CT; 487 mm wide; Sagittal slice 21/48
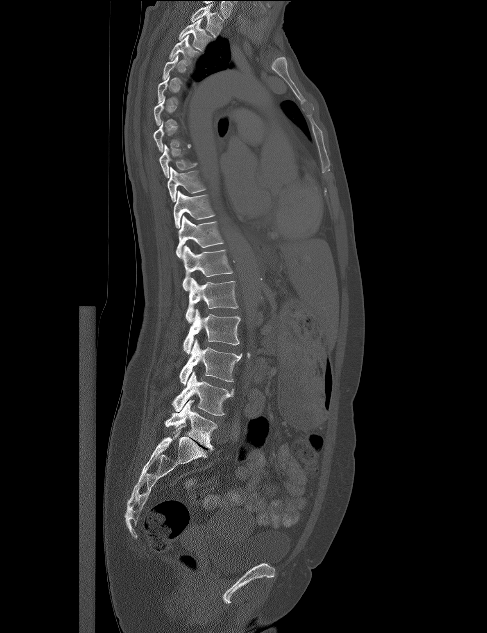 A vertebra gets a box only on the slices from the first to the last where its cross-section is at least a third of its largest; on a slice outside that range it gets none.
<vertebrae><v name="L5" x1="164" y1="400" x2="217" y2="450"/><v name="L4" x1="171" y1="371" x2="234" y2="415"/><v name="L3" x1="179" y1="339" x2="241" y2="385"/><v name="L2" x1="183" y1="309" x2="240" y2="354"/><v name="L1" x1="185" y1="278" x2="238" y2="323"/><v name="T12" x1="182" y1="245" x2="233" y2="290"/><v name="T11" x1="176" y1="215" x2="224" y2="258"/><v name="T10" x1="173" y1="191" x2="215" y2="228"/><v name="T9" x1="167" y1="167" x2="206" y2="202"/><v name="T8" x1="159" y1="144" x2="197" y2="178"/><v name="T7" x1="153" y1="121" x2="190" y2="152"/><v name="T3" x1="168" y1="35" x2="200" y2="67"/><v name="T2" x1="178" y1="19" x2="214" y2="51"/><v name="T1" x1="190" y1="4" x2="224" y2="37"/></vertebrae>